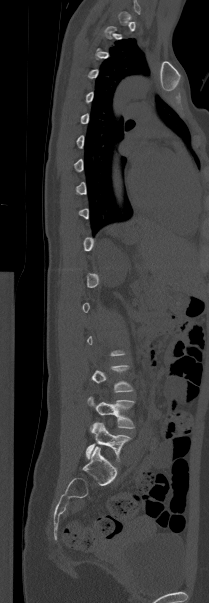
CT spine. sagittal view. Bone window (WL 400, WW 1800)
Boxes are (x1, y1, x2, y2) in pixels.
Not every vertebra on this slice has a box: a vertebra is boxed only from the first to the last slice where its cross-section is at least a third of its largest, and this slice is outside that range for at least one of them.
Vertebra bounding boxes:
- L5: (86, 422, 130, 461)
- L4: (87, 397, 134, 428)